CT spine · sagittal plane, index 183 · image width 350 mm
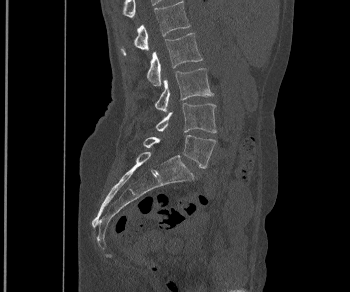 Each vertebra maps to its box as [x1, y1, x2, y2], the pixel coordinates of its top-left and bottom-right corners.
{"vertebrae":{"L1":[120,1,190,55],"L2":[147,33,202,86],"L3":[155,68,213,111],"L4":[155,103,216,133],"L5":[143,135,216,168]}}